CT spine. sagittal view
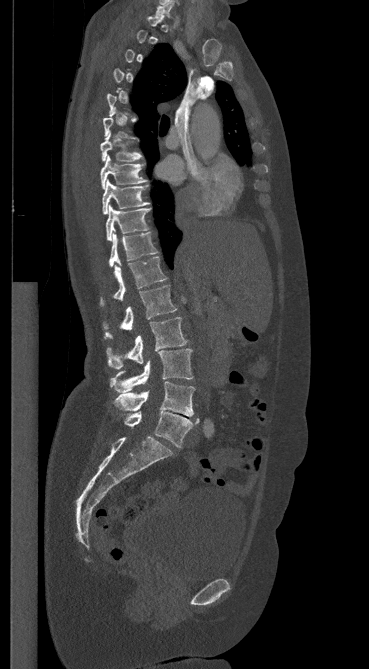 Each vertebra maps to its box as [x1, y1, x2, y2], the pixel coordinates of its top-left and bottom-right corners.
Not every vertebra on this slice has a box: a vertebra is boxed only from the first to the last slice where its cross-section is at least a third of its largest, and this slice is outside that range for at least one of them.
{"vertebrae":{"C7":[155,0,174,16],"T7":[100,136,141,161],"T8":[100,156,146,188],"T9":[102,179,149,214],"T10":[106,205,151,241],"T11":[109,230,157,266],"T12":[99,257,167,306],"L1":[103,285,176,338],"L2":[106,317,187,369],"L3":[110,349,193,392],"L4":[114,382,194,416],"L5":[124,411,199,447]}}